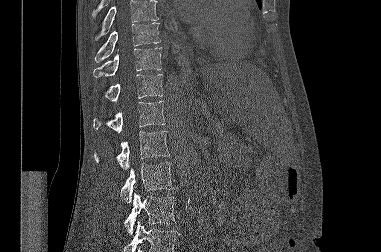 CT spine · sagittal view · image width 381 mm · Bone window (WL 400, WW 1800) · 381x252 px

Boxes are (x1, y1, x2, y2) in pixels. Vertebrae that run past the top or bottom of the scan are left unlabeled. Vertebrae labeled: L3 at (124, 193, 175, 234), L2 at (120, 162, 173, 203), L1 at (94, 131, 169, 170), T12 at (93, 101, 165, 132), T11 at (104, 74, 162, 102), T10 at (93, 47, 161, 77), T9 at (94, 22, 160, 62).